CT · sagittal view · scan covers 12 annotated vertebrae · image width 340 mm
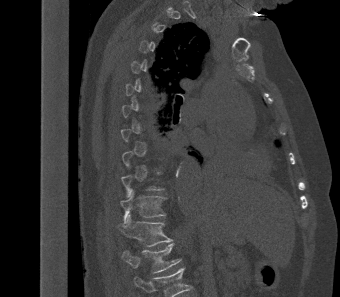 Each box is [x1, y1, x2, y2] in pixels: top-left corner, then bottom-right corner.
A vertebra gets a box only on the slices from the first to the last where its cross-section is at least a third of its largest; on a slice outside that range it gets none.
Labels in this scan begin with T2 at the top and end with L1 at the bottom.
{"vertebrae":{"T11":[120,189,166,224],"T12":[119,214,172,246],"L1":[122,243,181,273]}}